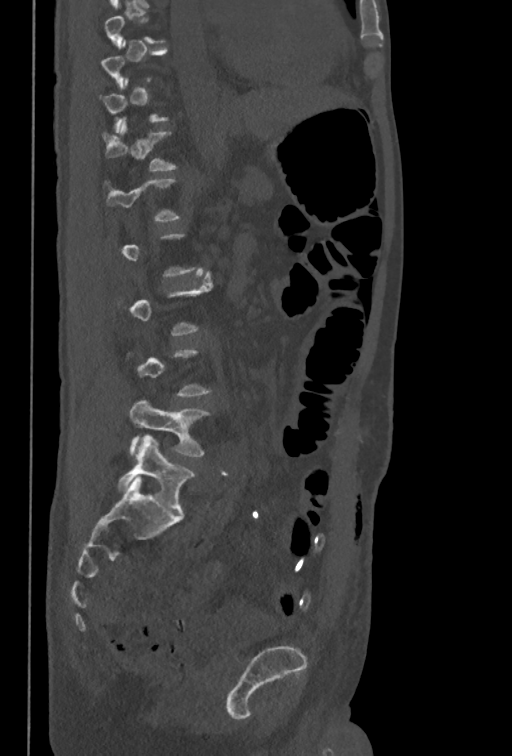

Spine CT. sagittal view
Not every vertebra on this slice has a box: a vertebra is boxed only from the first to the last slice where its cross-section is at least a third of its largest, and this slice is outside that range for at least one of them.
<vertebrae><v name="T12" x1="103" y1="117" x2="176" y2="171"/><v name="L5" x1="130" y1="400" x2="208" y2="456"/></vertebrae>